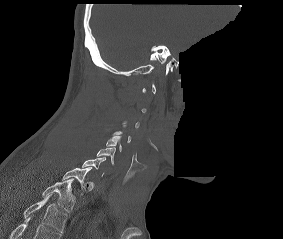

Spine CT; sagittal view; 283 mm across the image; a portion of the image is blanked out (constant pixel value)
Boxes: x1:y1:x2:y2 in pixels.
A vertebra gets a box only on the slices from the first to the last where its cross-section is at least a third of its largest; on a slice outside that range it gets none.
Labels in this scan begin with C1 at the top and end with T2 at the bottom.
Vertebra bounding boxes:
- T2: 42:179:75:212
- T1: 62:167:91:195
- C7: 82:157:105:176
- C6: 96:147:115:165
- C5: 106:136:122:152